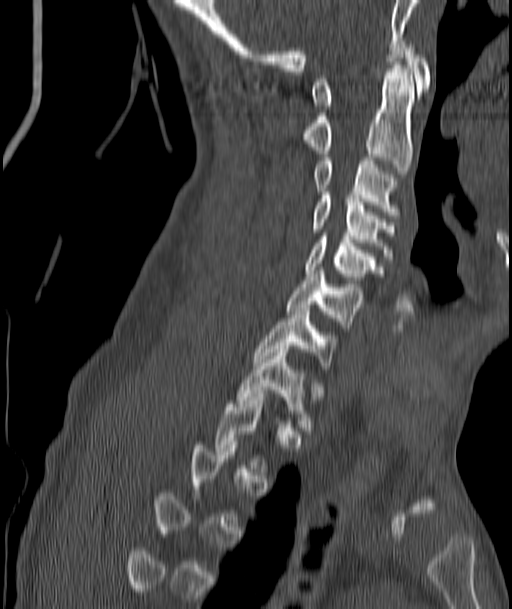

CT, spine · sagittal view · bone window
Box edges are left/top/right/bottom in pixels. A vertebra is boxed only from the first to the last slice where its cross-section is at least a third of its largest; slices outside that range leave it without a box. The labeled vertebrae in this slice are: C1 at left=313, top=44, right=430, bottom=109, C2 at left=302, top=65, right=414, bottom=174, C3 at left=313, top=157, right=400, bottom=218, C4 at left=313, top=192, right=394, bottom=259, C5 at left=305, top=233, right=375, bottom=283, C6 at left=286, top=270, right=361, bottom=328, C7 at left=253, top=308, right=334, bottom=369, T1 at left=236, top=349, right=312, bottom=430.